Spine CT — sagittal reformat — Bone window (WL 400, WW 1800)
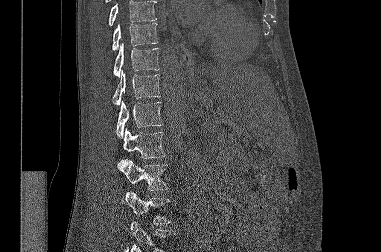

Each box given as x1,y1,x2,y2.
A vertebra cut off by the top or bottom edge of the scan is not labeled and has no box.
Vertebra bounding boxes:
- T9: x1=112, y1=22, x2=158, y2=50
- T10: x1=113, y1=43, x2=159, y2=77
- T11: x1=112, y1=70, x2=160, y2=105
- T12: x1=116, y1=100, x2=162, y2=138
- L1: x1=123, y1=128, x2=165, y2=158
- L2: x1=117, y1=159, x2=168, y2=190
- L3: x1=122, y1=191, x2=170, y2=224